Spine computed tomography — sagittal view — image width 471 mm — 523x792 px — 18 vertebrae labeled in this scan
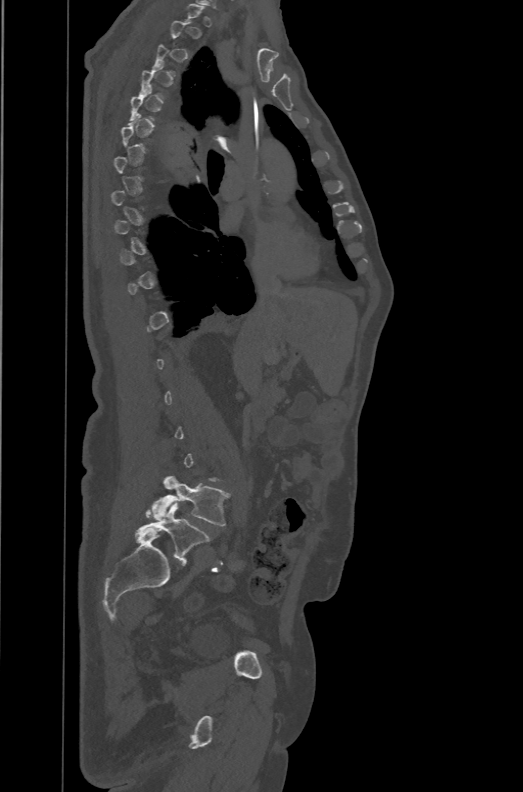

Each box is [x1, y1, x2, y2] in pixels: top-left corner, then bottom-right corner.
Not every vertebra on this slice has a box: a vertebra is boxed only from the first to the last slice where its cross-section is at least a third of its largest, and this slice is outside that range for at least one of them.
In these labels the spine has an L6, a sixth lumbar vertebra below L5.
{"vertebrae":{"L6":[135,503,210,563],"L5":[151,475,230,525]}}